CT · sagittal reformat
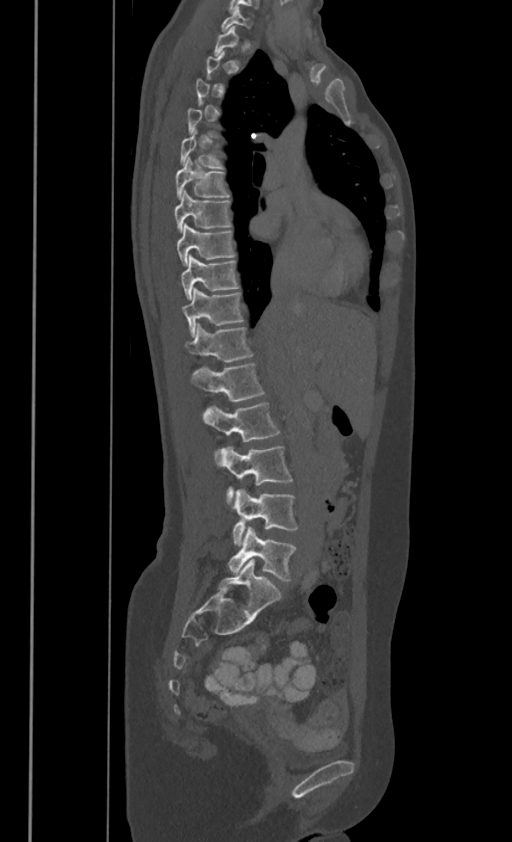 Boxes: x1:y1:x2:y2 in pixels. Not every vertebra on this slice has a box: a vertebra is boxed only from the first to the last slice where its cross-section is at least a third of its largest, and this slice is outside that range for at least one of them. In these labels the thoracic vertebrae end at T11, so L1 follows T11. 12 vertebrae labeled — T5 at 180:135:220:167; T6 at 175:158:228:197; T7 at 174:191:230:231; T8 at 176:222:234:264; T9 at 180:254:238:299; T10 at 182:288:242:334; T11 at 186:324:252:361; L1 at 190:363:263:400; L2 at 203:401:279:442; L3 at 215:446:292:498; L4 at 231:489:297:545; L5 at 229:526:295:580.